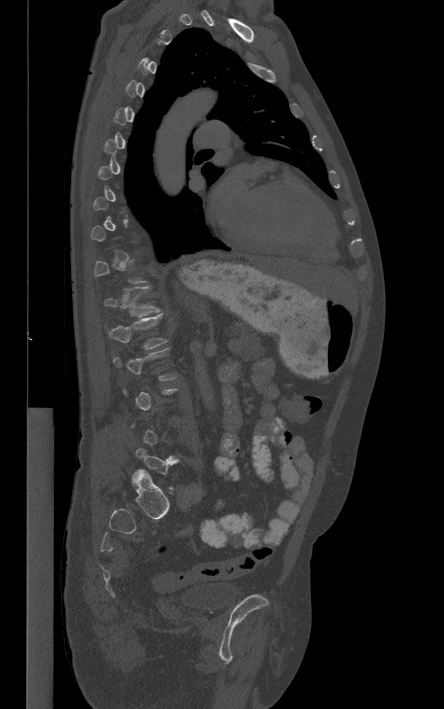

CT · sagittal reformat · bone-window reconstruction. Each row gives a vertebra's box as x1, y1, x2, y2 in pixels: top-left corner, then bottom-right corner.
A vertebra gets a box only on the slices from the first to the last where its cross-section is at least a third of its largest; on a slice outside that range it gets none.
| vertebra | x1 | y1 | x2 | y2 |
|---|---|---|---|---|
| L1 | 108 | 313 | 167 | 349 |
| T12 | 104 | 287 | 160 | 316 |